CT, spine · sagittal view · bone window · image width 388 mm · 8 vertebrae labeled in this scan
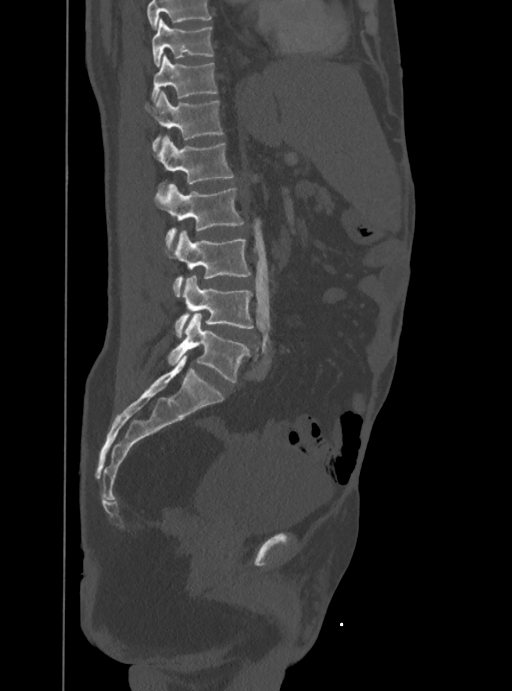
Each row gives a vertebra's box as x1, y1, x2, y2 in pixels: top-left corner, then bottom-right corner.
A vertebra cut off by the top edge of the scan is not labeled and has no box.
| vertebra | x1 | y1 | x2 | y2 |
|---|---|---|---|---|
| T10 | 152 | 18 | 214 | 67 |
| T11 | 152 | 56 | 217 | 104 |
| T12 | 145 | 91 | 223 | 152 |
| L1 | 158 | 135 | 234 | 183 |
| L2 | 154 | 183 | 243 | 250 |
| L3 | 173 | 230 | 251 | 297 |
| L4 | 175 | 276 | 254 | 336 |
| L5 | 167 | 314 | 248 | 383 |